Computed tomography of the spine. sagittal view
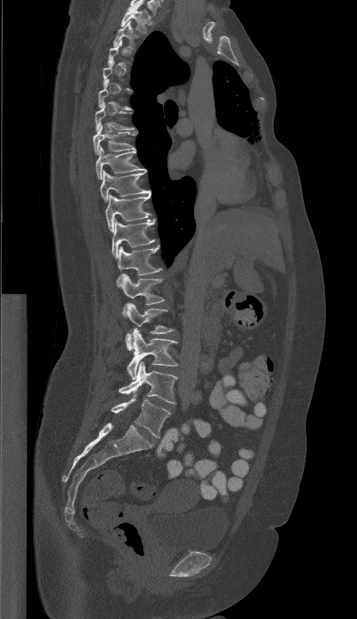 A vertebra is boxed only from the first to the last slice where its cross-section is at least a third of its largest; slices outside that range leave it without a box.
<vertebrae><v name="T1" x1="121" y1="2" x2="149" y2="33"/><v name="T2" x1="113" y1="21" x2="135" y2="49"/><v name="T6" x1="95" y1="103" x2="133" y2="131"/><v name="T7" x1="93" y1="124" x2="135" y2="154"/><v name="T8" x1="95" y1="146" x2="146" y2="179"/><v name="T9" x1="100" y1="170" x2="150" y2="201"/><v name="T10" x1="105" y1="193" x2="151" y2="232"/><v name="T11" x1="112" y1="219" x2="154" y2="258"/><v name="T12" x1="117" y1="245" x2="161" y2="286"/><v name="L1" x1="120" y1="274" x2="164" y2="315"/><v name="L2" x1="125" y1="303" x2="173" y2="350"/><v name="L3" x1="127" y1="329" x2="177" y2="379"/><v name="L4" x1="118" y1="362" x2="177" y2="403"/><v name="L5" x1="110" y1="395" x2="170" y2="437"/></vertebrae>